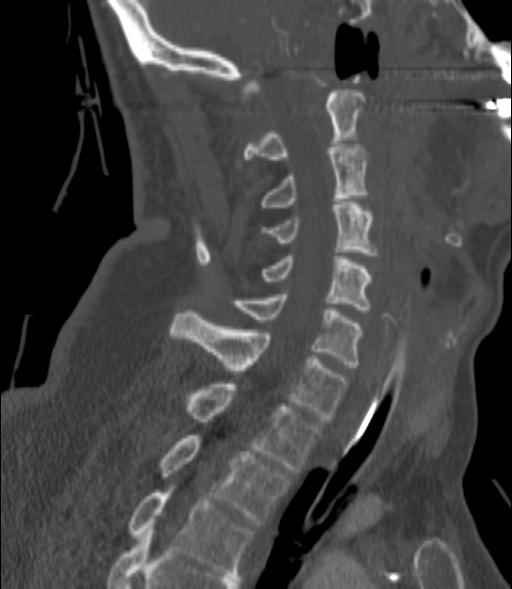
CT spine — sagittal view — bone-window reconstruction
Each box is [x1, y1, x2, y2] in pixels: top-left corner, then bottom-right corner.
{"vertebrae":{"C2":[244,93,366,159],"C3":[259,144,368,210],"C4":[262,202,376,255],"C5":[259,256,371,313],"C6":[234,294,361,367],"C7":[170,310,345,421],"T1":[185,384,320,473],"T2":[157,435,289,524],"T3":[129,493,253,575]}}